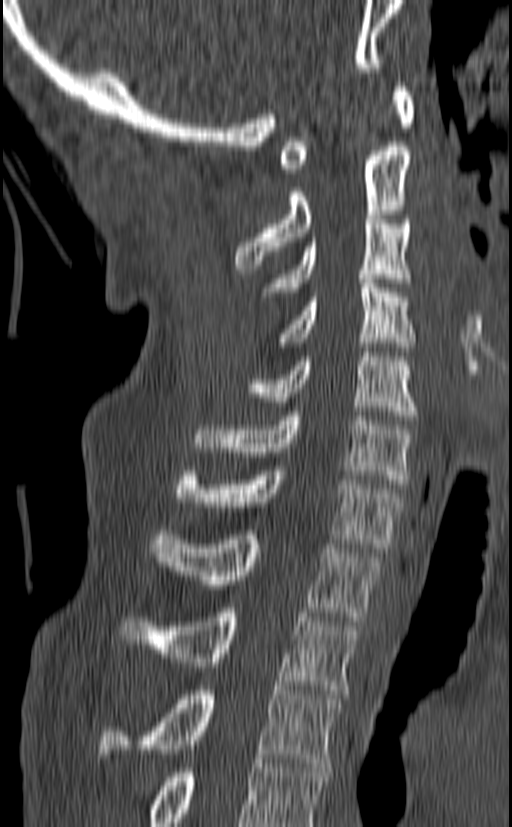

Spine CT — 140 mm wide — sagittal view
Each vertebra maps to its box as [x1, y1, x2, y2], the pixel coordinates of its top-left and bottom-right corners.
Labels in this scan begin with C1 at the top and end with T3 at the bottom.
{"vertebrae":{"C1":[279,82,414,173],"C2":[235,146,411,269],"C3":[261,215,412,296],"C4":[279,274,414,351],"C5":[246,352,417,420],"C6":[192,411,414,488],"C7":[177,466,403,552],"T1":[150,530,381,621],"T2":[120,608,359,694],"T3":[99,686,341,767]}}